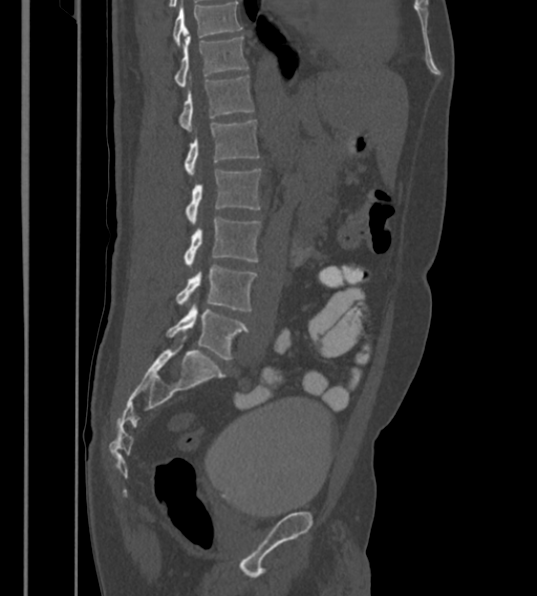 Spine CT. sagittal view. Bone window (WL 400, WW 1800)
Coordinates as <box>x1,y1,x2,y2</box>.
Labels in this scan begin with T12 at the top and end with L6 at the bottom.
The labels name a sixth lumbar vertebra for this spine: L6, after L5.
Vertebra bounding boxes:
- L6: <box>166,304,248,360</box>
- L5: <box>176,266,256,311</box>
- L4: <box>184,216,260,266</box>
- L3: <box>186,169,260,224</box>
- L2: <box>185,120,259,175</box>
- L1: <box>178,75,254,131</box>
- T12: <box>175,36,248,86</box>